Spine CT — image 412 mm wide — sagittal view
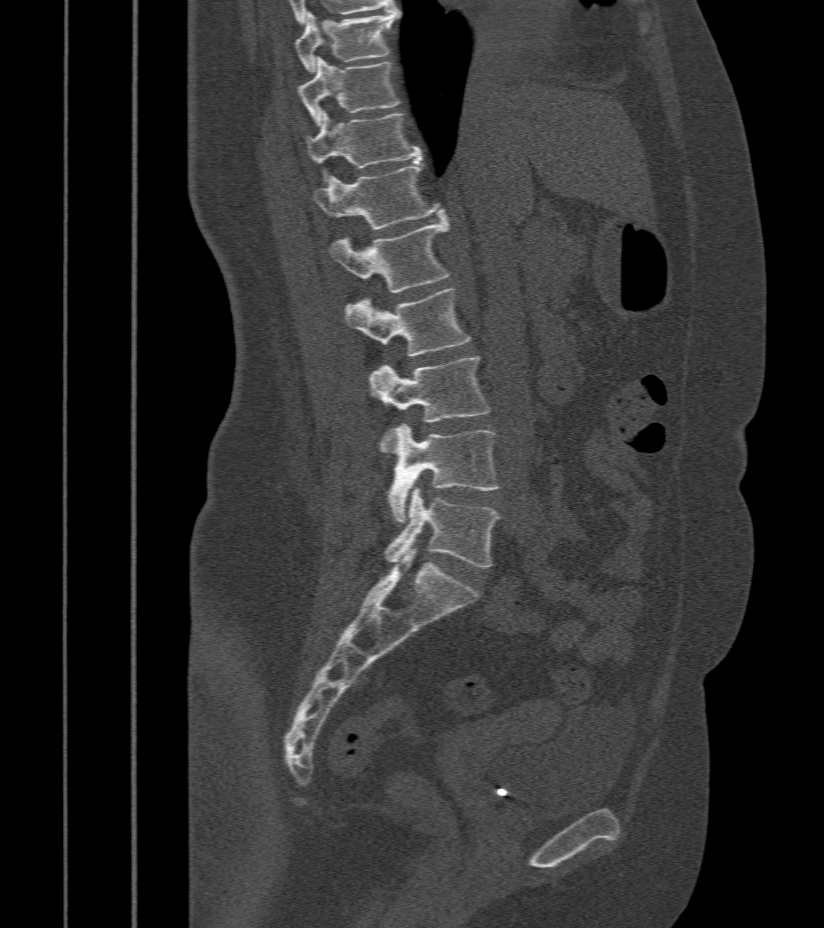

Coordinates as <box>x1,y1,x2,y2</box>. 9 vertebrae labeled — T9 at <box>296,9,401,72</box>; T10 at <box>298,57,401,127</box>; T11 at <box>306,111,421,180</box>; T12 at <box>314,165,445,230</box>; L1 at <box>330,217,448,292</box>; L2 at <box>346,289,471,356</box>; L3 at <box>369,357,491,454</box>; L4 at <box>388,425,500,522</box>; L5 at <box>386,487,500,568</box>.